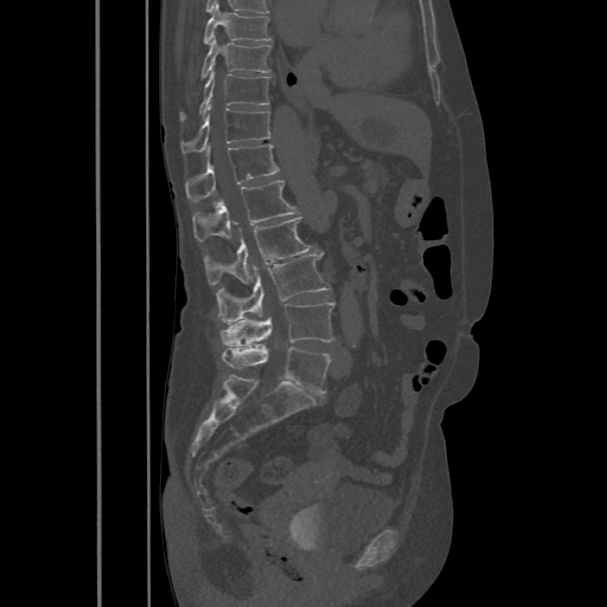
Spine computed tomography; sagittal view; bone window
<vertebrae><v name="L5" x1="221" y1="345" x2="330" y2="394"/><v name="L4" x1="219" y1="302" x2="334" y2="346"/><v name="L3" x1="216" y1="255" x2="330" y2="324"/><v name="L2" x1="204" y1="217" x2="312" y2="285"/><v name="L1" x1="192" y1="180" x2="299" y2="241"/><v name="T12" x1="185" y1="145" x2="279" y2="201"/><v name="T11" x1="181" y1="107" x2="271" y2="154"/><v name="T10" x1="180" y1="71" x2="269" y2="120"/><v name="T9" x1="202" y1="36" x2="271" y2="79"/><v name="T8" x1="204" y1="2" x2="272" y2="44"/></vertebrae>